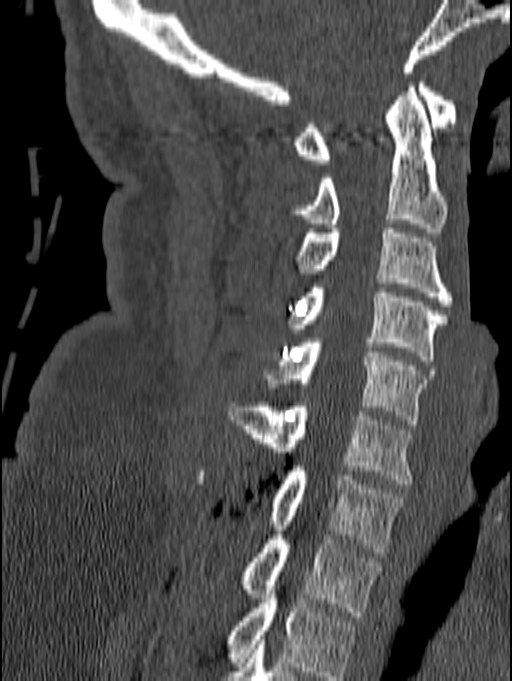 CT, spine; sagittal reformat; Bone window (WL 400, WW 1800)

Labels in this scan begin with C1 at the top and end with T1 at the bottom.
<vertebrae><v name="C1" x1="294" y1="78" x2="456" y2="164"/><v name="C2" x1="291" y1="82" x2="447" y2="232"/><v name="C3" x1="296" y1="229" x2="454" y2="305"/><v name="C4" x1="290" y1="283" x2="447" y2="360"/><v name="C5" x1="265" y1="338" x2="434" y2="424"/><v name="C6" x1="227" y1="402" x2="414" y2="484"/><v name="C7" x1="195" y1="466" x2="406" y2="552"/><v name="T1" x1="239" y1="526" x2="382" y2="616"/></vertebrae>